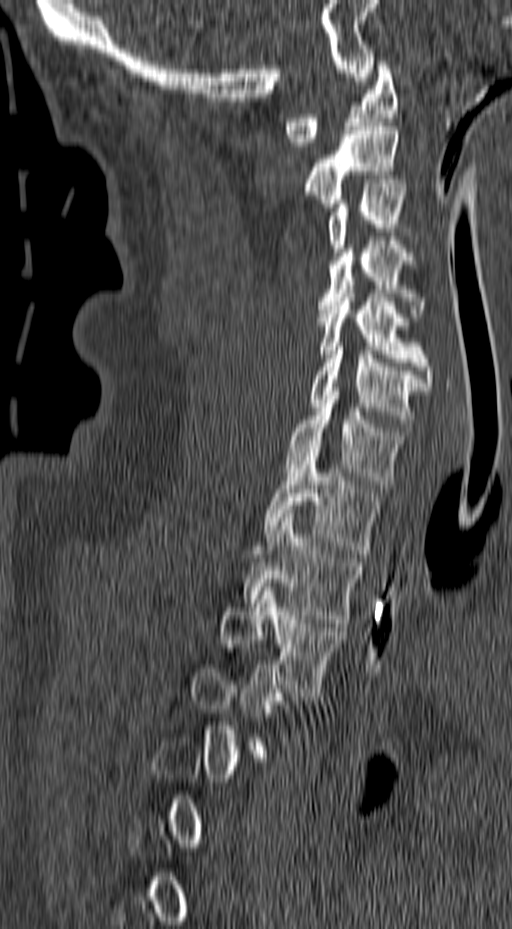

Spine CT. sagittal view. bone window. 512x929 px
Each vertebra is boxed only on the slices from the first to the last where its cross-section reaches a third of its largest, so a slice outside that range leaves it unboxed.
<vertebrae><v name="C1" x1="283" y1="61" x2="398" y2="146"/><v name="C2" x1="304" y1="122" x2="404" y2="207"/><v name="C3" x1="327" y1="183" x2="408" y2="252"/><v name="C4" x1="317" y1="241" x2="425" y2="317"/><v name="C5" x1="317" y1="289" x2="433" y2="386"/><v name="C6" x1="310" y1="338" x2="428" y2="431"/><v name="C7" x1="285" y1="387" x2="405" y2="488"/><v name="T1" x1="265" y1="448" x2="378" y2="553"/><v name="T2" x1="242" y1="514" x2="359" y2="627"/><v name="T3" x1="220" y1="583" x2="343" y2="692"/></vertebrae>